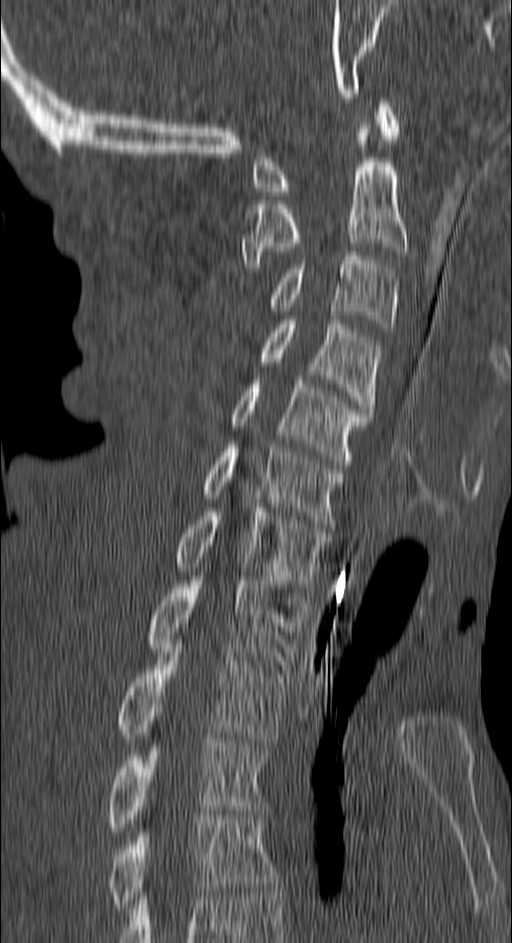 Computed tomography of the spine; sagittal reformat; Bone window (WL 400, WW 1800). Each row gives a vertebra's box as x1, y1, x2, y2 in pixels: top-left corner, then bottom-right corner.
| vertebra | x1 | y1 | x2 | y2 |
|---|---|---|---|---|
| C1 | 254 | 98 | 400 | 195 |
| C2 | 240 | 128 | 406 | 268 |
| C3 | 271 | 252 | 396 | 332 |
| C4 | 261 | 320 | 379 | 413 |
| C5 | 230 | 380 | 371 | 464 |
| C6 | 203 | 444 | 345 | 524 |
| C7 | 175 | 508 | 328 | 588 |
| T1 | 148 | 576 | 305 | 669 |
| T2 | 117 | 644 | 288 | 746 |
| T3 | 107 | 738 | 266 | 831 |
| T4 | 107 | 815 | 277 | 912 |